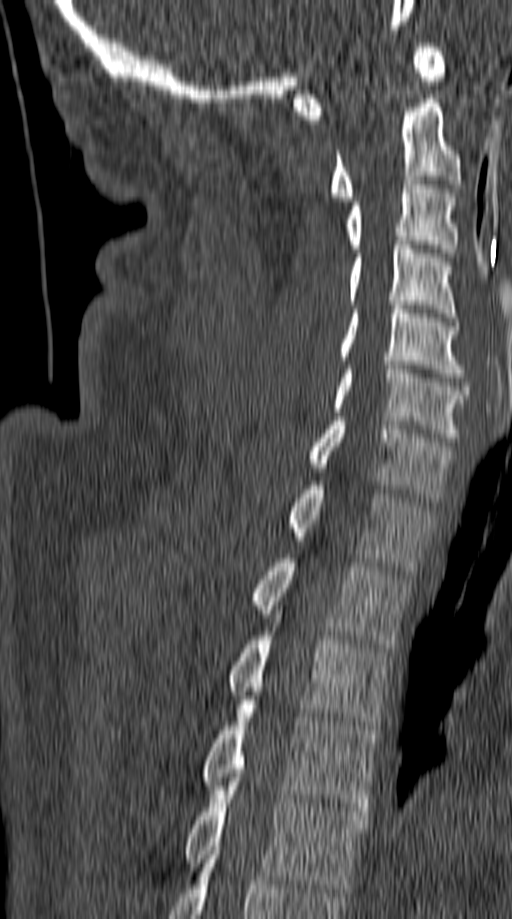

Spine computed tomography — sagittal view — Bone window (WL 400, WW 1800) — 512x919 px
<vertebrae><v name="C1" x1="294" y1="43" x2="447" y2="119"/><v name="C2" x1="328" y1="99" x2="461" y2="201"/><v name="C3" x1="345" y1="180" x2="457" y2="257"/><v name="C4" x1="348" y1="241" x2="457" y2="321"/><v name="C5" x1="338" y1="301" x2="464" y2="377"/><v name="C6" x1="331" y1="361" x2="468" y2="441"/><v name="C7" x1="307" y1="417" x2="454" y2="502"/><v name="T1" x1="286" y1="481" x2="433" y2="570"/><v name="T2" x1="252" y1="558" x2="409" y2="648"/><v name="T3" x1="228" y1="614" x2="389" y2="729"/><v name="T4" x1="201" y1="700" x2="378" y2="811"/><v name="T5" x1="183" y1="777" x2="366" y2="892"/></vertebrae>